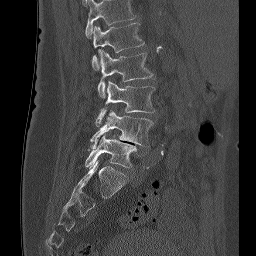
CT. sagittal view
Each row gives a vertebra's box as x1, y1, x2, y2 in pixels: top-left corner, then bottom-right corner.
Labels in this scan begin with L1 at the top and end with L5 at the bottom.
| vertebra | x1 | y1 | x2 | y2 |
|---|---|---|---|---|
| L5 | 85 | 135 | 137 | 168 |
| L4 | 90 | 110 | 153 | 148 |
| L3 | 95 | 81 | 155 | 126 |
| L2 | 97 | 50 | 153 | 97 |
| L1 | 91 | 22 | 144 | 69 |